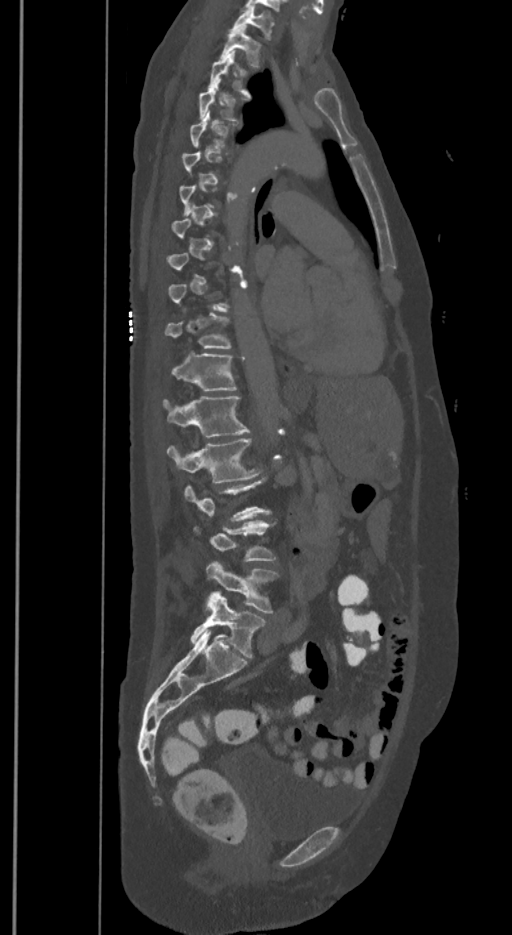

CT, spine — sagittal view
Each box is [x1, y1, x2, y2] in pixels: top-left corner, then bottom-right corner.
A vertebra is boxed only from the first to the last slice where its cross-section is at least a third of its largest; slices outside that range leave it without a box.
In these labels the spine has an L6, a sixth lumbar vertebra below L5.
{"vertebrae":{"T1":[232,7,274,38],"T2":[221,26,261,67],"T3":[209,50,249,95],"T4":[199,79,237,120],"T11":[165,315,231,349],"T12":[171,353,236,391],"L1":[164,396,249,436],"L2":[167,438,259,483],"L4":[194,521,275,561],"L5":[206,562,278,613],"L6":[191,591,265,657]}}